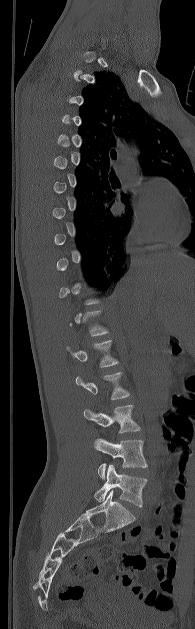

CT spine. sagittal view. Bone window (WL 400, WW 1800). Each box given as x1,y1,x2,y2.
A vertebra is boxed only from the first to the last slice where its cross-section is at least a third of its largest; slices outside that range leave it without a box.
L5: x1=94, y1=464, x2=147, y2=507
L4: x1=94, y1=438, x2=147, y2=479
L3: x1=84, y1=405, x2=140, y2=433
L2: x1=75, y1=372, x2=130, y2=399
L1: x1=67, y1=340, x2=118, y2=367